CT spine; Sagittal slice 240/512; image width 361 mm; W/L 1800/400 HU; 512x878 px
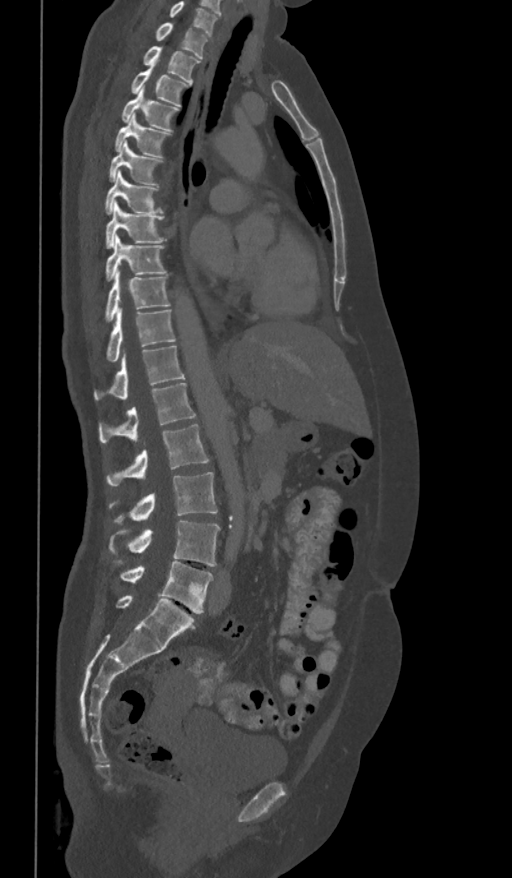 Box edges are left/top/right/bottom in pixels.
In this scan, the topmost labeled vertebra is T1 and the lowest is L5.
T1: left=156, top=23, right=209, bottom=58
T2: left=143, top=46, right=199, bottom=83
T3: left=132, top=65, right=186, bottom=106
T4: left=122, top=87, right=179, bottom=132
T5: left=115, top=114, right=170, bottom=157
T6: left=109, top=140, right=162, bottom=184
T7: left=105, top=171, right=162, bottom=213
T8: left=106, top=200, right=166, bottom=248
T9: left=105, top=235, right=166, bottom=280
T10: left=105, top=269, right=169, bottom=322
T11: left=106, top=306, right=176, bottom=362
T12: left=93, top=345, right=185, bottom=400
L1: left=99, top=383, right=196, bottom=443
L2: left=106, top=425, right=209, bottom=485
L3: left=109, top=472, right=217, bottom=522
L4: left=109, top=521, right=220, bottom=566
L5: left=120, top=560, right=213, bottom=613